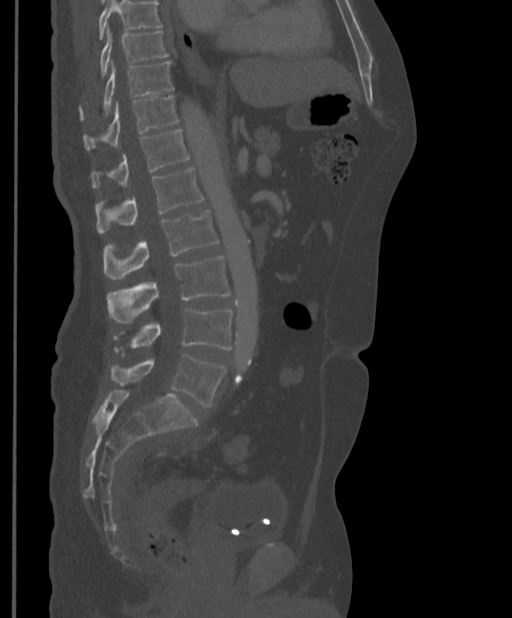 CT spine; sagittal view; 397 mm across the image
Vertebrae that run past the top of the scan are left unlabeled.
<vertebrae><v name="T9" x1="99" y1="31" x2="169" y2="78"/><v name="T10" x1="80" y1="61" x2="174" y2="120"/><v name="T11" x1="84" y1="95" x2="179" y2="151"/><v name="T12" x1="90" y1="129" x2="190" y2="187"/><v name="L1" x1="95" y1="168" x2="204" y2="232"/><v name="L2" x1="103" y1="210" x2="219" y2="279"/><v name="L3" x1="107" y1="257" x2="231" y2="323"/><v name="L4" x1="113" y1="308" x2="232" y2="355"/><v name="L5" x1="111" y1="355" x2="226" y2="407"/></vertebrae>